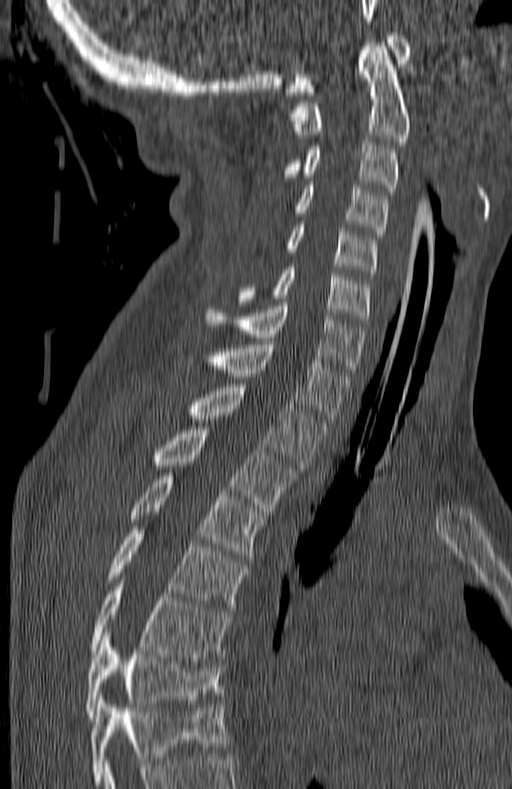

CT, spine — sagittal view — bone window
Boxes below are [x1, y1, x2, y2] in pixels.
In this scan, the topmost labeled vertebra is C1 and the lowest is T7.
{"vertebrae":{"T7":[86,633,222,721],"T6":[89,583,230,660],"T5":[106,526,247,607],"T4":[129,473,262,557],"T3":[152,427,296,511],"T2":[186,384,324,468],"T1":[183,341,350,422],"C7":[206,302,364,376],"C6":[237,267,370,323],"C5":[285,224,378,276],"C4":[294,185,387,237],"C3":[280,142,398,195],"C2":[288,43,410,145],"C1":[286,32,409,95]}}